Computed tomography of the spine · sagittal view · image 220 mm wide · 220x220 px
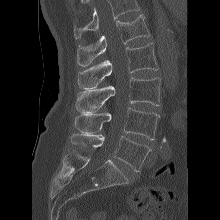

Each vertebra maps to its box as [x1, y1, x2, y2], the pixel coordinates of its top-left and bottom-right corners.
No box is given to a vertebra that the top edge of the scan cuts off.
{"vertebrae":{"L1":[77,14,150,66],"L2":[77,43,158,89],"L3":[75,77,161,112],"L4":[74,107,159,140],"L5":[69,134,151,171]}}